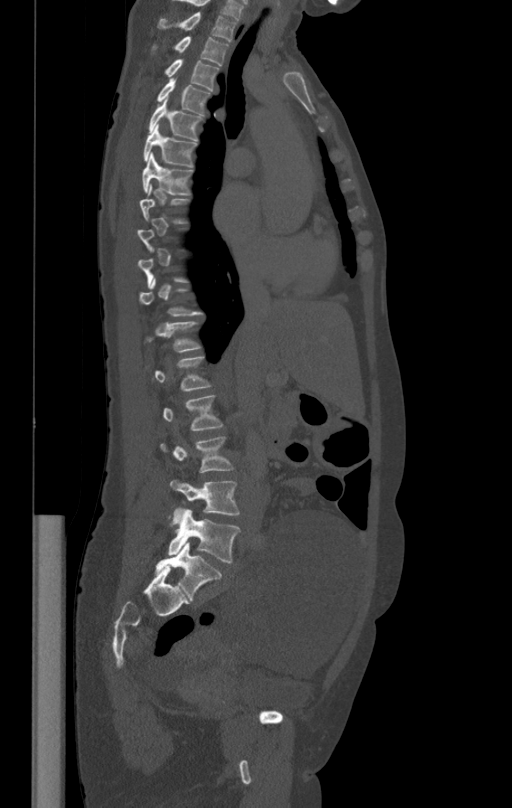
Spine CT; sagittal view; image width 412 mm; 512x808 px
Columns x1, y1, x2, y2 give each box's top-left and bottom-right pixels.
Each vertebra is boxed only on the slices from the first to the last where its cross-section reaches a third of its largest, so a slice outside that range leaves it unboxed.
| vertebra | x1 | y1 | x2 | y2 |
|---|---|---|---|---|
| L5 | 168 | 509 | 240 | 563 |
| L4 | 170 | 480 | 239 | 522 |
| L3 | 161 | 437 | 233 | 472 |
| L2 | 163 | 395 | 223 | 430 |
| T7 | 142 | 152 | 191 | 194 |
| T6 | 143 | 125 | 196 | 167 |
| T5 | 150 | 100 | 201 | 140 |
| T4 | 158 | 78 | 210 | 114 |
| T3 | 165 | 58 | 219 | 91 |
| T2 | 175 | 36 | 228 | 65 |
| T1 | 158 | 12 | 235 | 42 |